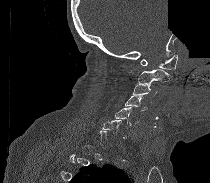
Computed tomography of the spine · sagittal view · W/L 1800/400 HU · a region of this slice is masked with a uniform fill. Boxes: x1:y1:x2:y2 in pixels.
A vertebra gets a box only on the slices from the first to the last where its cross-section is at least a third of its largest; on a slice outside that range it gets none.
C1: 140:55:177:69
C2: 138:69:170:83
C3: 132:82:157:95
C4: 125:96:147:110
C5: 115:107:139:125
C6: 102:119:126:139